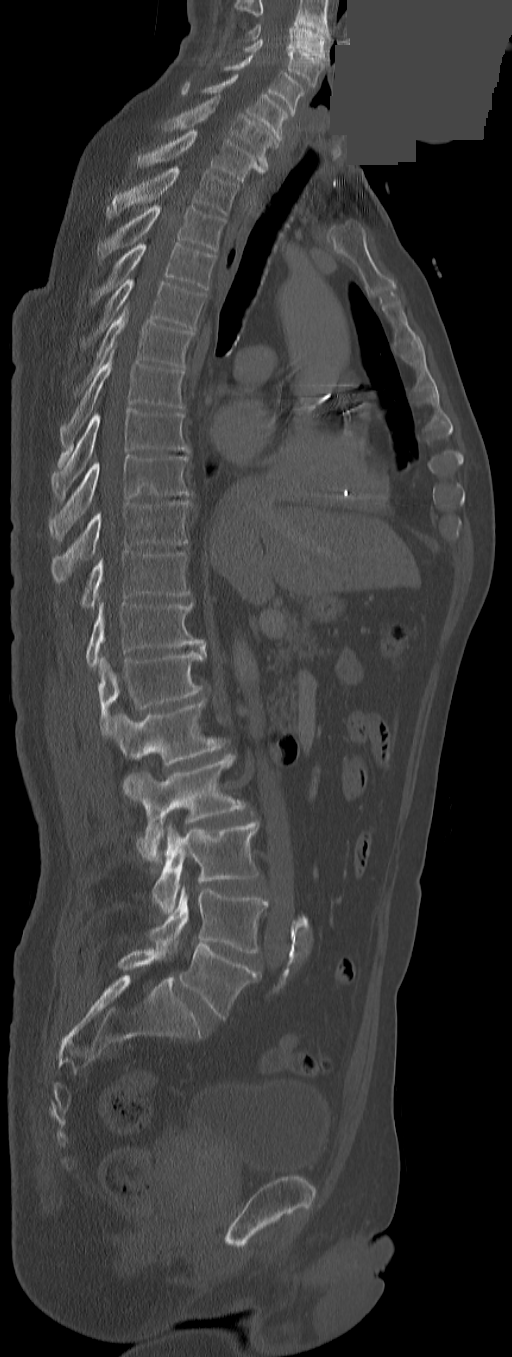

CT, spine — sagittal view — 512x1357 px — a region of this slice is masked with a uniform fill
Boxes: x1 y1 x2 y2 (pixel coords, space-separated). The highest labeled vertebra in this scan is C3; the lowest is L5. In these labels the spine has a T13, a thirteenth thoracic vertebra, between T12 and L1. The labeled vertebrae in this slice are: C3 at 248 24 324 57, C4 at 244 39 325 86, C5 at 224 55 304 115, C6 at 202 74 287 141, C7 at 161 95 279 169, T1 at 136 128 265 181, T2 at 106 168 237 216, T3 at 97 205 225 260, T4 at 90 243 216 304, T5 at 83 279 205 344, T6 at 74 303 193 394, T7 at 60 346 184 453, T8 at 51 409 189 499, T9 at 50 454 189 540, T10 at 51 502 189 582, T11 at 81 551 189 608, T12 at 85 602 202 668, T13 at 97 648 205 735, L1 at 108 697 225 765, L2 at 124 754 246 864, L3 at 152 822 258 913, L4 at 150 886 269 955, L5 at 180 944 261 1018.